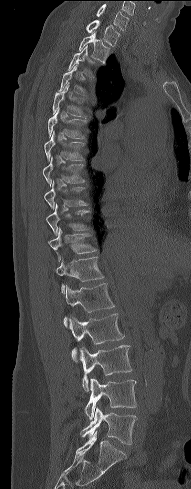 Computed tomography of the spine; sagittal view; image width 191 mm; bone-window reconstruction

Box edges are left/top/right/bottom in pixels. The labeled vertebrae in this slice are: C7 at left=96, top=4, right=128, bottom=31, T1 at left=85, top=19, right=120, bottom=46, T2 at left=78, top=31, right=111, bottom=62, T3 at left=68, top=46, right=101, bottom=78, T4 at left=60, top=65, right=95, bottom=97, T5 at left=53, top=83, right=89, bottom=117, T6 at left=48, top=108, right=87, bottom=139, T7 at left=44, top=131, right=85, bottom=161, T8 at left=43, top=157, right=87, bottom=185, T9 at left=44, top=180, right=88, bottom=208, T10 at left=46, top=205, right=90, bottom=235, T11 at left=48, top=227, right=98, bottom=261, T12 at left=55, top=256, right=104, bottom=290, L1 at left=63, top=283, right=115, bottom=323, L2 at left=65, top=313, right=124, bottom=352, L3 at left=72, top=345, right=132, bottom=392, L4 at left=84, top=377, right=137, bottom=419, L5 at left=81, top=408, right=136, bottom=444.